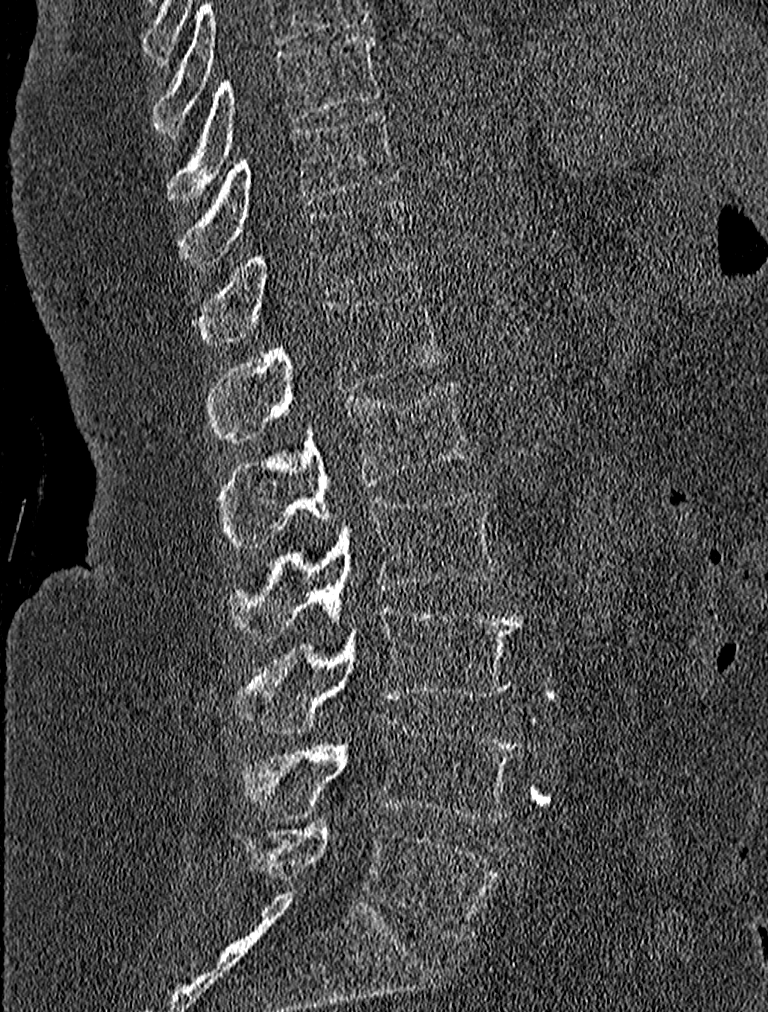

CT — sagittal view — bone-window reconstruction — 227 mm wide — 768x1012 px
Box values are [left, top, right, bottom] in pixels.
{"vertebrae":{"L5":[239,821,499,938],"L4":[239,722,520,820],"L3":[236,604,522,734],"L2":[225,490,502,640],"L1":[219,379,471,546],"T12":[209,288,444,439],"T11":[195,199,417,345],"T10":[178,111,400,262],"T9":[168,33,380,201]}}